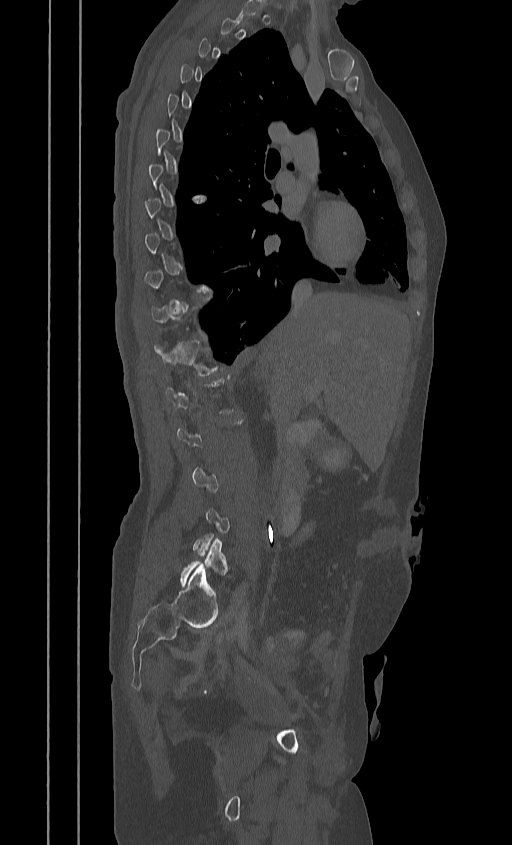 Spine CT — sagittal reformat

Each vertebra maps to its box as [x1, y1, x2, y2], the pixel coordinates of its top-left and bottom-right corners.
A vertebra gets a box only on the slices from the first to the last where its cross-section is at least a third of its largest; on a slice outside that range it gets none.
{"vertebrae":{"T12":[153,340,219,376],"L5":[180,539,228,586]}}